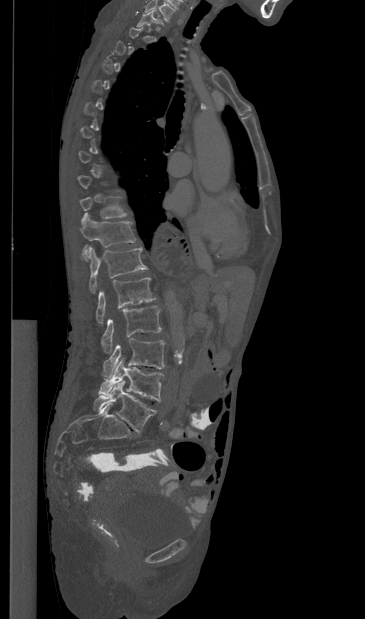

Computed tomography of the spine — image width 365 mm — sagittal view

Box edges are left/top/right/bottom in pixels.
Not every vertebra on this slice has a box: a vertebra is boxed only from the first to the last slice where its cross-section is at least a third of its largest, and this slice is outside that range for at least one of them.
| vertebra | x1 | y1 | x2 | y2 |
|---|---|---|---|---|
| L5 | 93 | 381 | 156 | 432 |
| L4 | 99 | 359 | 163 | 401 |
| L3 | 103 | 338 | 165 | 377 |
| L2 | 101 | 306 | 161 | 353 |
| L1 | 96 | 278 | 155 | 324 |
| T12 | 88 | 246 | 147 | 293 |
| T11 | 80 | 213 | 136 | 260 |
| T10 | 80 | 197 | 126 | 218 |